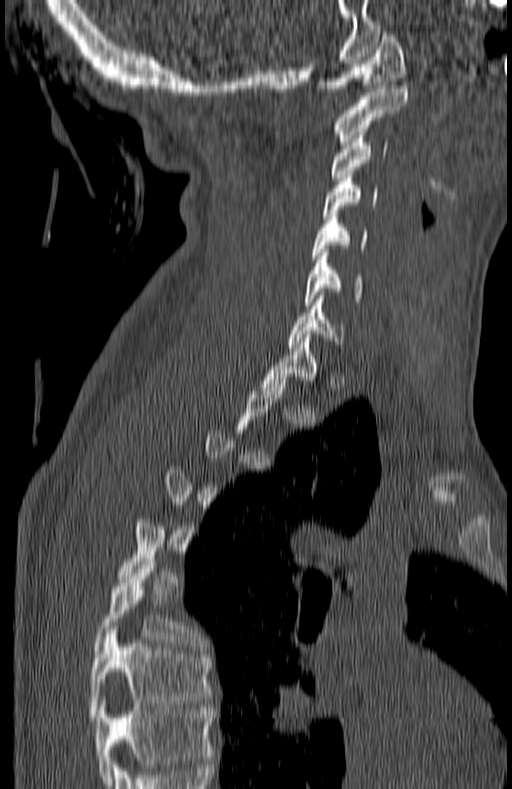 Spine computed tomography; sagittal view; 512x789 px
Boxes are given in columns x1, y1, x2, y2, the pixel coordinates of their top-left and bottom-right corners.
Each vertebra is boxed only on the slices from the first to the last where its cross-section reaches a third of its largest, so a slice outside that range leaves it unboxed.
Labels in this scan begin with C1 at the top and end with T7 at the bottom.
| vertebra | x1 | y1 | x2 | y2 |
|---|---|---|---|---|
| C1 | 319 | 32 | 407 | 91 |
| C2 | 334 | 85 | 407 | 141 |
| C3 | 331 | 132 | 387 | 180 |
| C4 | 322 | 171 | 378 | 219 |
| C5 | 311 | 217 | 367 | 259 |
| C6 | 302 | 249 | 361 | 305 |
| C7 | 288 | 299 | 344 | 347 |
| T1 | 263 | 334 | 318 | 387 |
| T6 | 92 | 558 | 202 | 653 |
| T7 | 89 | 626 | 211 | 721 |